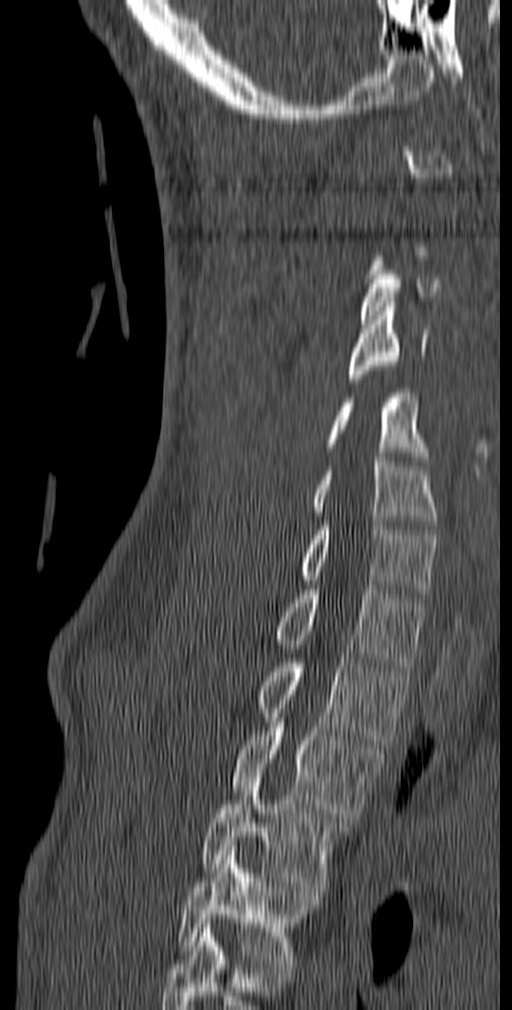

CT spine. sagittal view. W/L 1800/400 HU

A vertebra is boxed only from the first to the last slice where its cross-section is at least a third of its largest; slices outside that range leave it without a box.
The highest labeled vertebra in this scan is C1; the lowest is T5.
<vertebrae><v name="C3" x1="360" y1="256" x2="440" y2="324"/><v name="C4" x1="349" y1="302" x2="429" y2="383"/><v name="C5" x1="327" y1="389" x2="428" y2="465"/><v name="C6" x1="311" y1="453" x2="436" y2="529"/><v name="C7" x1="299" y1="521" x2="437" y2="598"/><v name="T1" x1="275" y1="585" x2="425" y2="671"/><v name="T2" x1="257" y1="654" x2="410" y2="744"/><v name="T3" x1="232" y1="722" x2="383" y2="822"/><v name="T4" x1="202" y1="773" x2="348" y2="890"/><v name="T5" x1="177" y1="846" x2="318" y2="968"/></vertebrae>